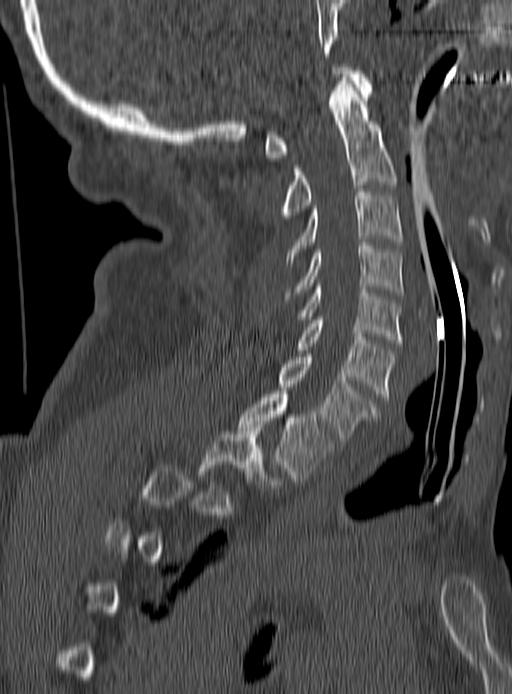
CT, spine; sagittal view
Boxes below are [x1, y1, x2, y2] in pixels.
A vertebra is boxed only from the first to the last slice where its cross-section is at least a third of its largest; slices outside that range leave it without a box.
{"vertebrae":{"T2":[200,424,277,487],"T1":[238,391,331,481],"C7":[278,354,377,440],"C6":[297,317,393,400],"C5":[300,283,401,343],"C4":[284,243,404,295],"C3":[286,189,401,265],"C2":[281,77,396,218],"C1":[265,67,373,161]}}